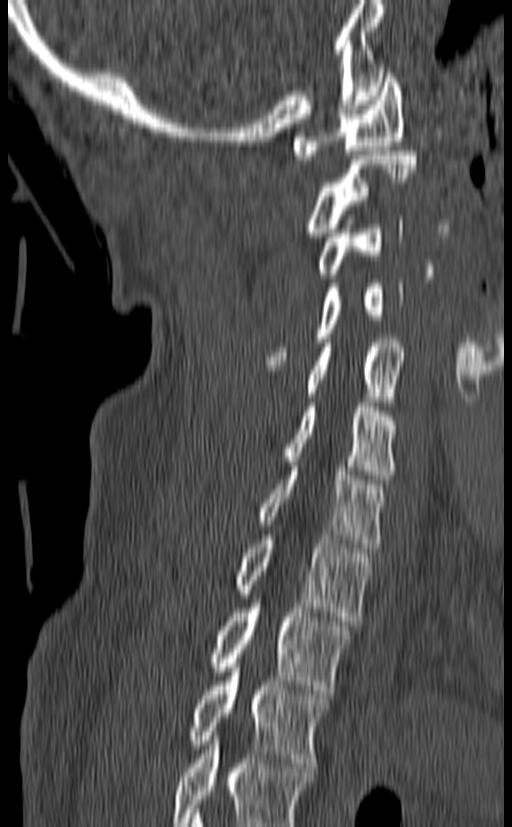
CT spine; sagittal view; bone window; 512x827 px; 140 mm across the image
Boxes: x1:y1:x2:y2 in pixels. This scan's labels start at C1 at the top and end at T3 at the bottom. 10 vertebrae labeled — T3 at 188:663:329:767; T2 at 210:599:352:694; T1 at 235:530:370:621; C7 at 257:462:384:552; C6 at 283:402:396:479; C5 at 306:338:406:401; C4 at 264:279:403:365; C3 at 316:215:402:278; C2 at 305:151:417:237; C1 at 294:69:403:159.